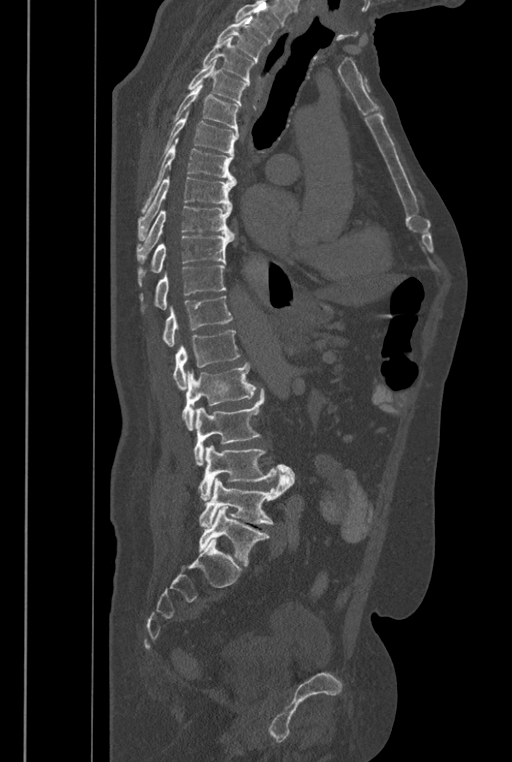 Spine CT · the image is 446 mm wide · sagittal view. Boxes are (x1, y1, x2, y2) in pixels.
Where the top of the scan cuts through a vertebra, that vertebra gets no label or box.
These labels give the spine a sixth lumbar vertebra, L6, below L5.
L6: (198, 506, 269, 565)
L5: (199, 474, 291, 527)
L4: (198, 444, 294, 501)
L3: (194, 388, 264, 465)
L2: (182, 363, 255, 430)
L1: (173, 330, 240, 390)
T12: (162, 295, 232, 346)
T11: (140, 264, 226, 311)
T10: (138, 236, 233, 285)
T9: (137, 205, 234, 263)
T8: (138, 176, 235, 241)
T7: (141, 137, 235, 213)
T6: (156, 108, 238, 164)
T5: (171, 83, 239, 135)
T4: (187, 59, 246, 105)
T3: (202, 37, 256, 86)
T2: (216, 17, 267, 62)